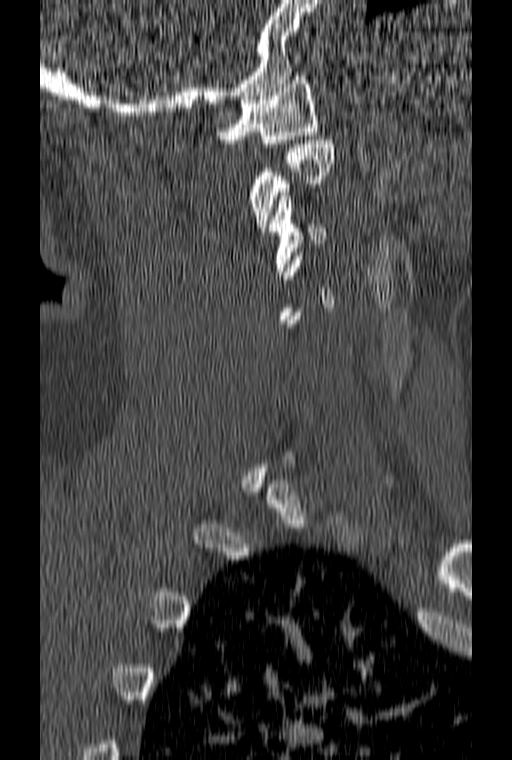 CT; sagittal view; W/L 1800/400 HU; 512x760 px
Coordinates as <box>x1,y1,x2,y2</box>. A vertebra gets a box only on the slices from the first to the last where its cross-section is at least a third of its largest; on a slice outside that range it gets none. Vertebrae labeled: C1 at <box>216,72,319,147</box>, C2 at <box>249,140,334,231</box>, C3 at <box>269,192,326,275</box>.